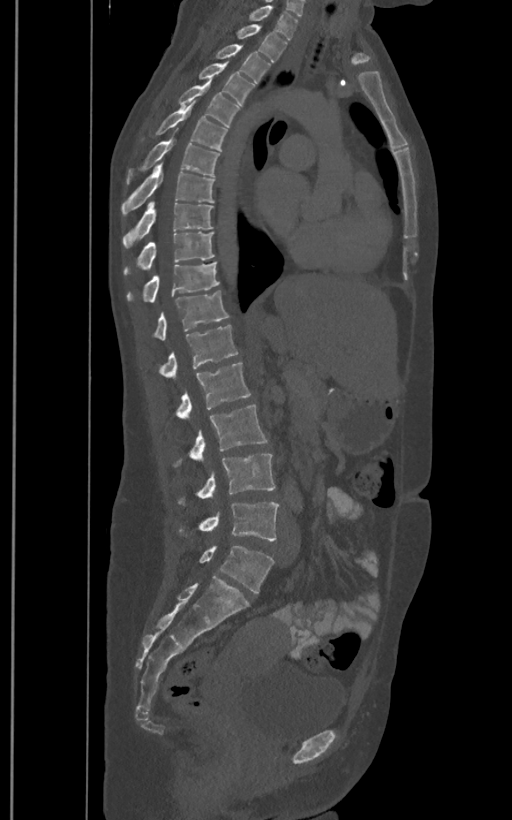
CT — sagittal view — 400 mm across the image — 512x820 px
Each vertebra maps to its box as [x1, y1, x2, y2], the pixel coordinates of its top-left and bottom-right corners.
These labels give the spine a sixth lumbar vertebra, L6, below L5.
{"vertebrae":{"T1":[249,5,297,39],"T2":[238,24,287,61],"T3":[216,45,269,84],"T4":[198,61,254,105],"T5":[179,79,238,127],"T6":[155,101,227,151],"T7":[127,135,219,183],"T8":[121,162,214,216],"T9":[123,200,213,249],"T10":[124,232,214,275],"T11":[127,262,219,302],"T12":[152,290,229,339],"L1":[157,325,238,377],"L2":[175,362,251,418],"L3":[173,404,268,466],"L4":[178,453,275,505],"L5":[179,501,279,540],"L6":[198,545,274,592]}}